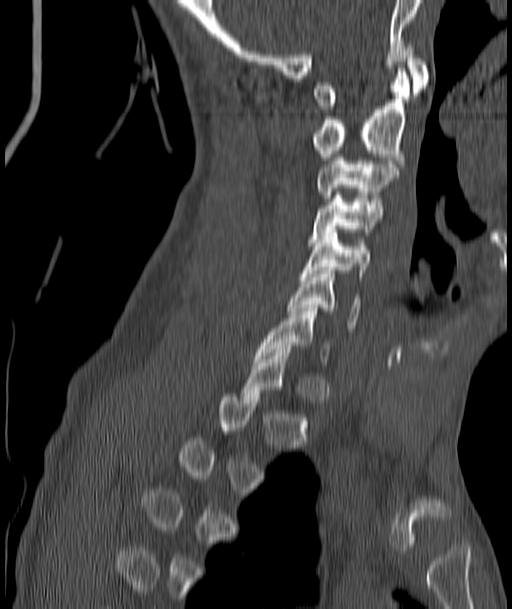 CT spine. sagittal view. Bone window (WL 400, WW 1800)

Boxes: x1:y1:x2:y2 in pixels.
Each vertebra is boxed only on the slices from the first to the last where its cross-section reaches a third of its largest, so a slice outside that range leaves it unboxed.
Vertebra bounding boxes:
- C7: 255:308:329:362
- C6: 288:270:359:328
- C5: 302:229:371:276
- C4: 308:192:383:242
- C3: 316:157:397:198
- C2: 313:68:411:163
- C1: 313:44:427:109